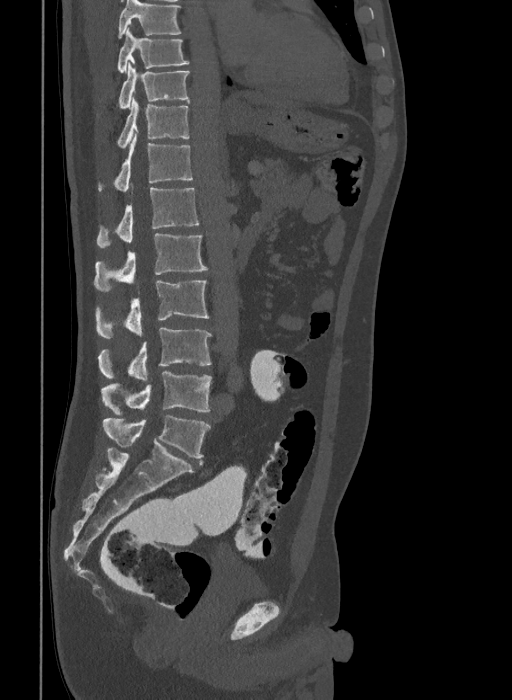

Spine computed tomography — the image is 409 mm wide — sagittal view — W/L 1800/400 HU. Boxes: x1:y1:x2:y2 in pixels. Labels in this scan begin with T9 at the top and end with L6 at the bottom. In these labels the spine has an L6, a sixth lumbar vertebra below L5. 10 vertebrae labeled — T9 at 118:27:189:73; T10 at 118:63:189:108; T11 at 116:97:189:148; T12 at 98:134:193:191; L1 at 96:188:199:248; L2 at 94:233:208:292; L3 at 95:281:209:338; L4 at 98:328:212:380; L5 at 101:372:212:415; L6 at 103:416:210:458.